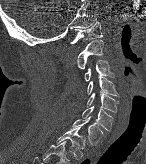
CT — 146 mm image width — sagittal view
Boxes: x1:y1:x2:y2 in pixels.
Vertebra bounding boxes:
- C1: 70:22:102:44
- C2: 77:40:105:69
- C3: 84:60:114:81
- C4: 87:76:118:96
- C5: 87:93:118:112
- C6: 82:106:112:131
- C7: 70:117:103:145
- T1: 55:127:85:160